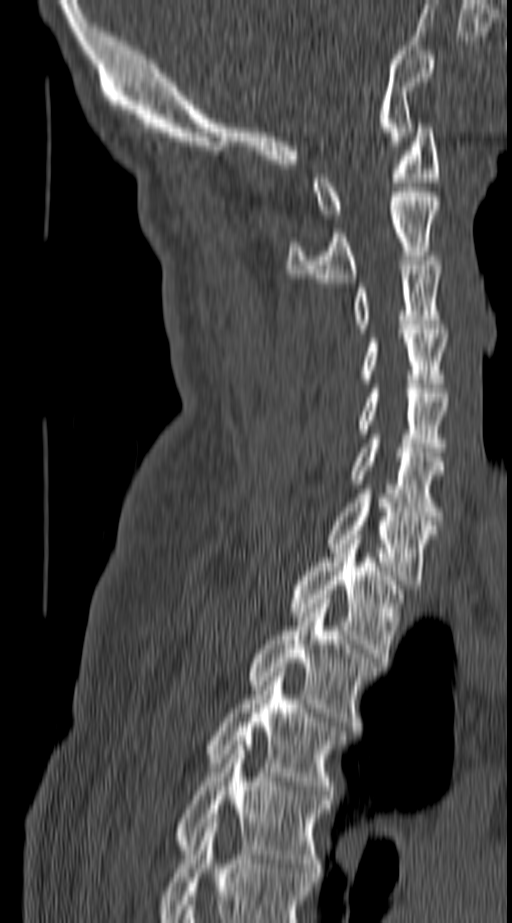

CT spine. sagittal view. bone-window reconstruction
Each box given as x1,y1,x2,y2.
The highest labeled vertebra in this scan is C1; the lowest is T4.
| vertebra | x1 | y1 | x2 | y2 |
|---|---|---|---|---|
| T4 | 173 | 741 | 329 | 877 |
| T3 | 206 | 672 | 344 | 799 |
| T2 | 246 | 599 | 377 | 730 |
| T1 | 287 | 535 | 403 | 662 |
| C7 | 327 | 494 | 436 | 584 |
| C6 | 349 | 434 | 444 | 520 |
| C5 | 356 | 389 | 447 | 456 |
| C4 | 360 | 329 | 447 | 388 |
| C3 | 352 | 261 | 443 | 328 |
| C2 | 287 | 192 | 439 | 282 |
| C1 | 312 | 123 | 439 | 218 |